CT · sagittal reformat · Bone window (WL 400, WW 1800) · 512x705 px · scan covers 17 annotated vertebrae
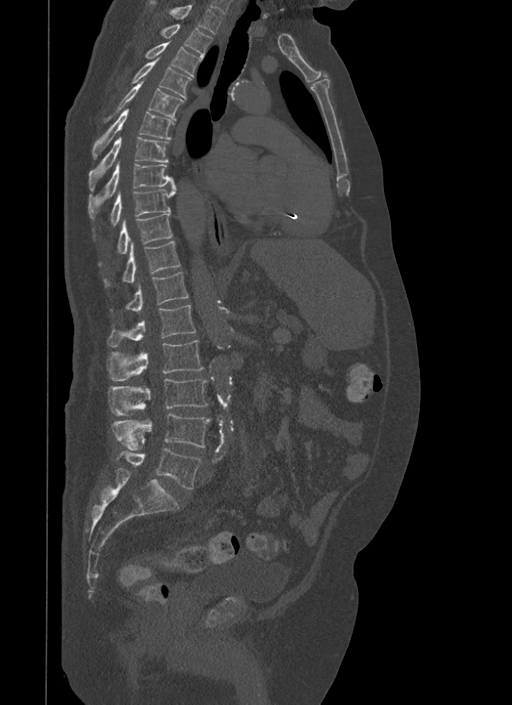
Each vertebra maps to its box as [x1, y1, x2, y2], the pixel coordinates of its top-left and bottom-right corners.
{"vertebrae":{"T1":[150,0,221,34],"T2":[161,24,212,58],"T3":[145,40,202,77],"T4":[133,57,191,99],"T5":[104,81,184,122],"T6":[92,109,173,159],"T7":[89,137,168,190],"T8":[88,162,175,218],"T9":[110,188,176,225],"T10":[98,212,172,265],"T11":[103,241,181,287],"T12":[125,272,189,311],"L1":[107,305,196,347],"L2":[106,340,204,381],"L3":[107,379,207,415],"L4":[111,413,210,450],"L5":[116,449,200,488]}}